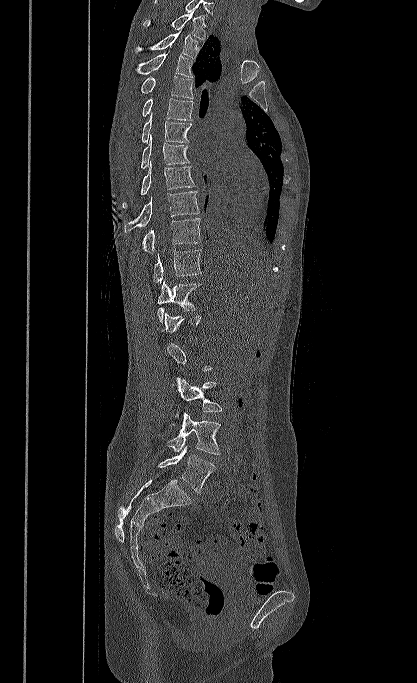 CT — sagittal view — W/L 1800/400 HU
A vertebra is boxed only from the first to the last slice where its cross-section is at least a third of its largest; slices outside that range leave it without a box.
This scan's labels start at T1 at the top and end at L5 at the bottom.
<vertebrae><v name="T1" x1="143" y1="10" x2="205" y2="40"/><v name="T2" x1="135" y1="31" x2="198" y2="58"/><v name="T3" x1="135" y1="51" x2="193" y2="77"/><v name="T4" x1="140" y1="76" x2="193" y2="98"/><v name="T5" x1="142" y1="98" x2="192" y2="120"/><v name="T6" x1="141" y1="113" x2="191" y2="143"/><v name="T7" x1="140" y1="134" x2="190" y2="168"/><v name="T8" x1="123" y1="161" x2="195" y2="208"/><v name="T9" x1="124" y1="191" x2="199" y2="232"/><v name="T10" x1="142" y1="218" x2="201" y2="252"/><v name="T11" x1="152" y1="249" x2="201" y2="285"/><v name="T12" x1="157" y1="279" x2="200" y2="322"/><v name="L1" x1="161" y1="312" x2="201" y2="332"/><v name="L3" x1="174" y1="377" x2="222" y2="419"/><v name="L4" x1="167" y1="412" x2="220" y2="454"/><v name="L5" x1="158" y1="446" x2="216" y2="493"/></vertebrae>